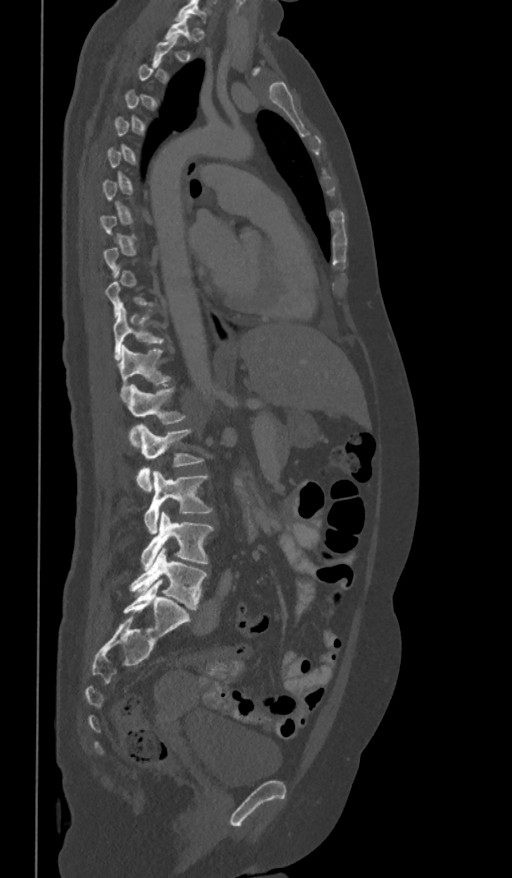 Spine computed tomography — sagittal view — W/L 1800/400 HU

A vertebra is boxed only from the first to the last slice where its cross-section is at least a third of its largest; slices outside that range leave it without a box.
<vertebrae><v name="T11" x1="113" y1="304" x2="165" y2="358"/><v name="T12" x1="118" y1="345" x2="169" y2="401"/><v name="L1" x1="125" y1="384" x2="186" y2="444"/><v name="L2" x1="136" y1="425" x2="202" y2="492"/><v name="L3" x1="144" y1="470" x2="212" y2="534"/><v name="L4" x1="142" y1="511" x2="213" y2="568"/><v name="L5" x1="130" y1="548" x2="207" y2="609"/></vertebrae>